Spine computed tomography; sagittal plane, index 317; W/L 1800/400 HU; the image spans 140 mm across
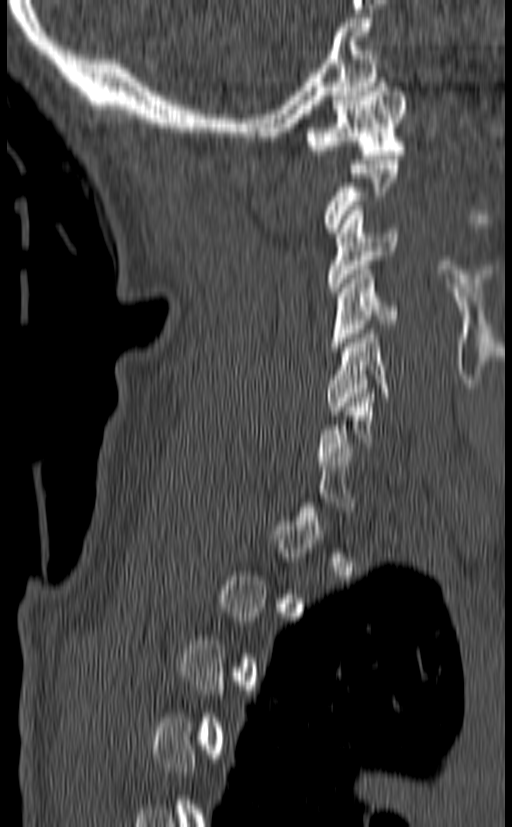
Each box given as x1,y1,x2,y2. A vertebra gets a box only on the slices from the first to the last where its cross-section is at least a third of its largest; on a slice outside that range it gets none. Vertebrae labeled: C1 at x1=305, y1=78, x2=406, y2=159, C3 at x1=327, y1=206, x2=399, y2=292, C4 at x1=330, y1=265, x2=398, y2=351, C5 at x1=326, y1=329, x2=389, y2=415.